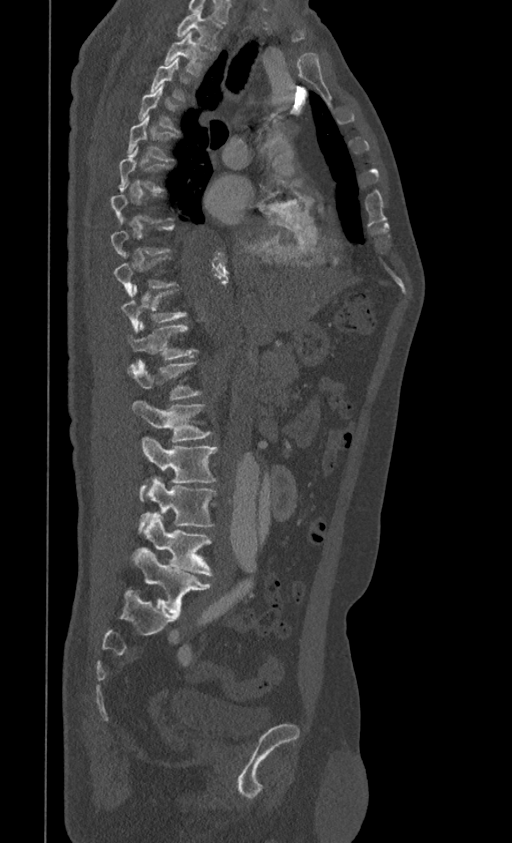

Spine CT · sagittal view · bone window · 512x843 px · 399 mm across the image
A vertebra is boxed only from the first to the last slice where its cross-section is at least a third of its largest; slices outside that range leave it without a box.
<vertebrae><v name="T1" x1="176" y1="8" x2="222" y2="49"/><v name="T2" x1="164" y1="31" x2="211" y2="75"/><v name="T3" x1="150" y1="58" x2="190" y2="101"/><v name="T4" x1="138" y1="84" x2="180" y2="131"/><v name="T5" x1="127" y1="114" x2="177" y2="161"/><v name="T6" x1="119" y1="147" x2="171" y2="192"/><v name="T9" x1="114" y1="255" x2="176" y2="296"/><v name="T10" x1="122" y1="285" x2="186" y2="333"/><v name="T11" x1="128" y1="321" x2="198" y2="359"/><v name="T12" x1="128" y1="359" x2="202" y2="400"/><v name="L1" x1="132" y1="401" x2="212" y2="441"/><v name="L2" x1="140" y1="437" x2="218" y2="501"/><v name="L3" x1="141" y1="477" x2="216" y2="527"/><v name="L4" x1="142" y1="516" x2="212" y2="575"/><v name="L5" x1="132" y1="547" x2="211" y2="612"/></vertebrae>